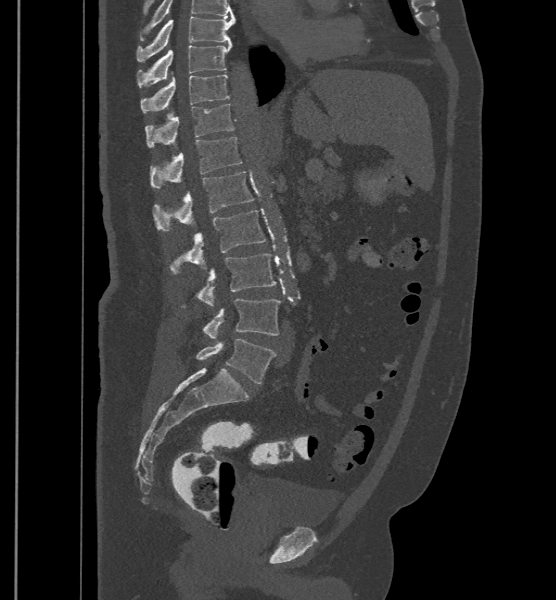 CT, spine; sagittal view; Bone window (WL 400, WW 1800)
Boxes below are [x1, y1, x2, y2] in pixels.
In this scan, the topmost labeled vertebra is T9 and the lowest is L6.
These labels give the spine a sixth lumbar vertebra, L6, below L5.
{"vertebrae":{"L6":[196,339,276,383],"L5":[202,299,280,338],"L4":[181,253,276,308],"L3":[169,210,266,275],"L2":[152,171,253,230],"L1":[150,137,242,188],"T12":[145,103,234,147],"T11":[141,72,229,112],"T10":[137,44,232,87],"T9":[137,16,234,61]}}